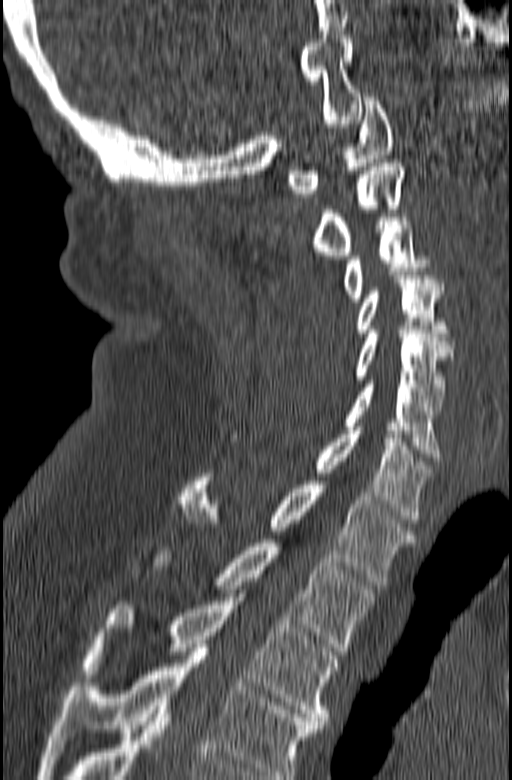
Spine computed tomography · sagittal view · 512x780 px. Boxes are (x1, y1, x2, y2) in pixels.
The highest labeled vertebra in this scan is C1; the lowest is T3.
Vertebra bounding boxes:
- C1: (287, 97, 394, 197)
- C2: (311, 163, 404, 259)
- C3: (342, 217, 447, 302)
- C4: (355, 275, 454, 348)
- C5: (355, 330, 452, 410)
- C6: (342, 380, 441, 461)
- C7: (231, 427, 433, 523)
- T1: (175, 473, 416, 585)
- T2: (151, 539, 376, 651)
- T3: (82, 597, 338, 728)